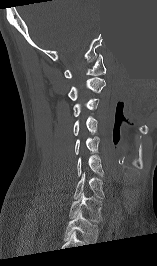
CT spine. sagittal view. 157 mm across the image. bone window. a region is masked with a constant gray value

Each row gives a vertebra's box as x1, y1, x2, y2 in pixels: top-left corner, then bottom-right corner.
The highest labeled vertebra in this scan is C1; the lowest is T1.
| vertebra | x1 | y1 | x2 | y2 |
|---|---|---|---|---|
| C1 | 64 | 53 | 106 | 78 |
| C2 | 68 | 77 | 105 | 100 |
| C3 | 73 | 98 | 99 | 116 |
| C4 | 73 | 116 | 97 | 135 |
| C5 | 75 | 136 | 99 | 154 |
| C6 | 77 | 155 | 103 | 176 |
| C7 | 73 | 172 | 104 | 198 |
| T1 | 69 | 192 | 102 | 221 |